Spine CT. Sagittal slice 45/68. 216x568 px
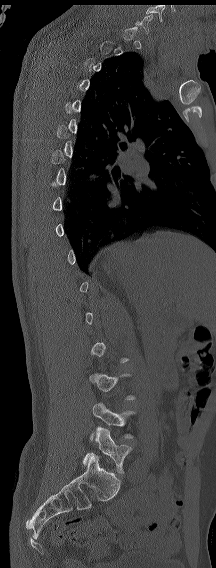 Each box given as x1,y1,x2,y2.
A vertebra gets a box only on the slices from the first to the last where its cross-section is at least a third of its largest; on a slice outside that range it gets none.
These labels give the spine a sixth lumbar vertebra, L6, below L5.
Vertebra bounding boxes:
- L6: x1=82, y1=427, x2=132, y2=473
- L5: x1=90, y1=402, x2=135, y2=440